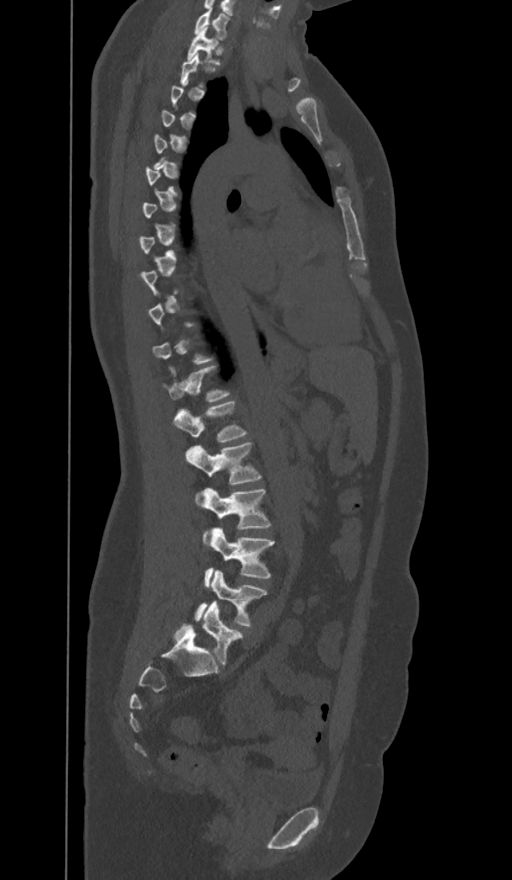

CT, spine; sagittal view; 374 mm across the image
Bounding boxes as [x1, y1, x2, y2] in pixel coordinates.
A vertebra is boxed only from the first to the last slice where its cross-section is at least a third of its largest; slices outside that range leave it without a box.
In these labels the spine has an L6, a sixth lumbar vertebra below L5.
Vertebra bounding boxes:
- L6: [174, 600, 242, 666]
- L5: [196, 570, 267, 627]
- L4: [205, 529, 274, 585]
- L3: [204, 488, 271, 544]
- L2: [186, 442, 262, 503]
- L1: [174, 400, 247, 443]
- T12: [163, 365, 229, 401]
- T1: [187, 27, 219, 64]
- C7: [194, 9, 229, 40]